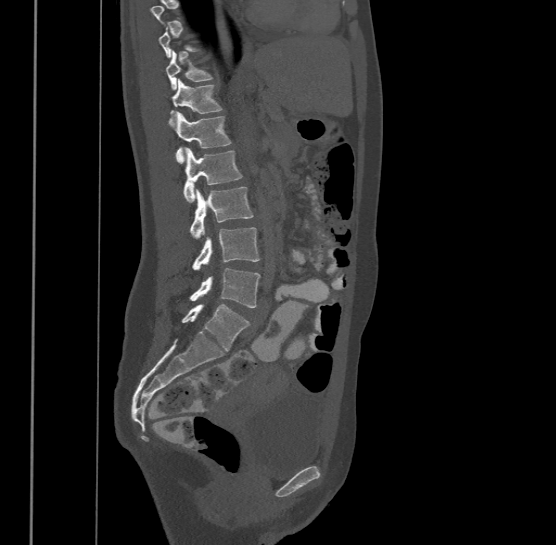
Spine CT. sagittal view. W/L 1800/400 HU
Box edges are left/top/right/bottom in pixels.
A vertebra is boxed only from the first to the last slice where its cross-section is at least a third of its largest; slices outside that range leave it without a box.
This scan's labels start at T9 at the top and end at L4 at the bottom.
| vertebra | x1 | y1 | x2 | y2 |
|---|---|---|---|---|
| T10 | 166 | 50 | 214 | 90 |
| T11 | 169 | 78 | 223 | 127 |
| T12 | 173 | 112 | 231 | 162 |
| L1 | 183 | 148 | 242 | 201 |
| L2 | 190 | 186 | 253 | 238 |
| L3 | 191 | 227 | 261 | 269 |
| L4 | 189 | 268 | 261 | 307 |